CT, spine. sagittal plane, index 224. 512x677 px
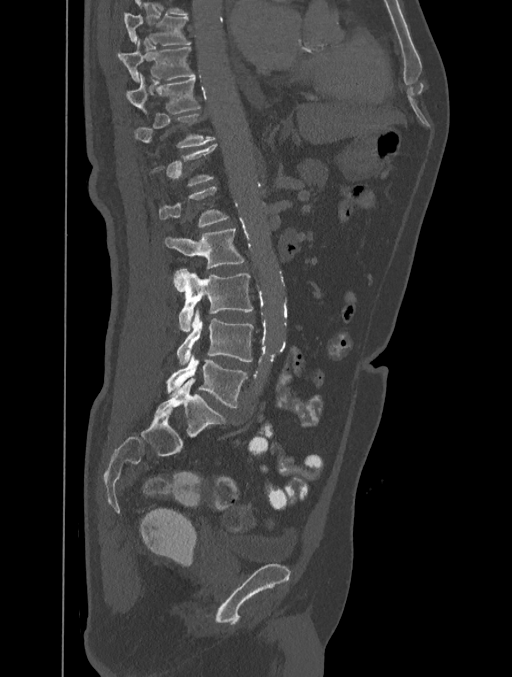

Boxes are (x1, y1, x2, y2) in pixels. A vertebra gets a box only on the slices from the first to the last where its cross-section is at least a third of its largest; on a slice outside that range it gets none. In this scan, the topmost labeled vertebra is T8 and the lowest is L5. Vertebrae labeled: L5 at (167, 354, 247, 408), L4 at (176, 309, 253, 364), L3 at (174, 268, 253, 331), L2 at (165, 228, 244, 269), L1 at (159, 186, 229, 227), T11 at (134, 114, 215, 147), T10 at (125, 76, 199, 113), T9 at (117, 40, 194, 81), T8 at (124, 13, 190, 45).